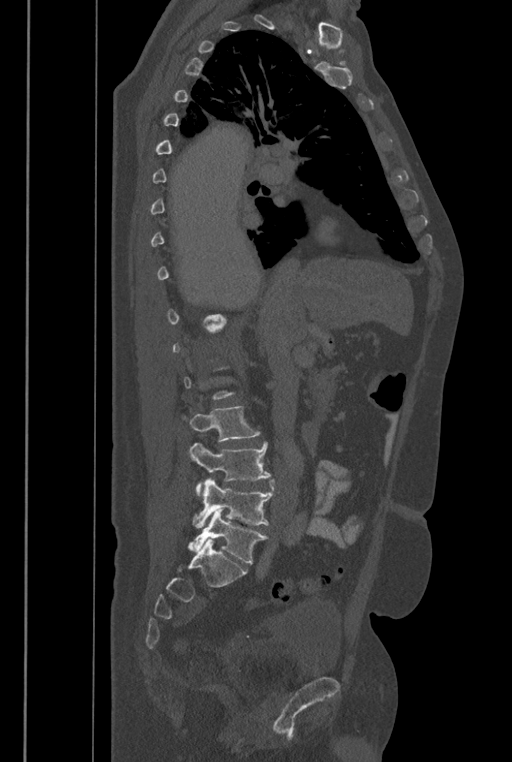

CT, spine. sagittal view
Box edges are left/top/right/bottom in pixels.
A vertebra gets a box only on the slices from the first to the last where its cross-section is at least a third of its largest; on a slice outside that range it gets none.
These labels give the spine a sixth lumbar vertebra, L6, below L5.
L3: left=189, top=405, right=258, bottom=441
L4: left=188, top=442, right=271, bottom=495
L5: left=193, top=478, right=274, bottom=527
L6: left=187, top=508, right=266, bottom=563